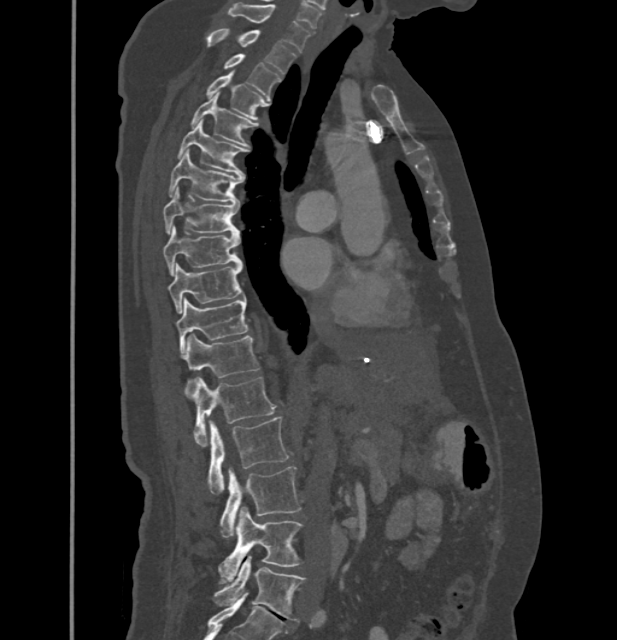

Computed tomography of the spine — sagittal reformat — bone window — image width 432 mm. Boxes: x1 y1 x2 y2 (pixel coords, space-separated).
In these labels the thoracic vertebrae end at T11, so L1 follows T11.
Vertebra bounding boxes:
- C7: 229 2 310 51
- T1: 207 29 296 74
- T2: 223 53 280 96
- T3: 206 72 267 119
- T4: 192 93 256 146
- T5: 177 120 246 175
- T6: 169 150 244 202
- T7: 163 187 239 234
- T8: 163 226 240 275
- T9: 169 263 241 314
- T10: 176 297 247 356
- T11: 184 333 261 396
- L1: 194 377 275 446
- L2: 209 416 288 494
- L3: 219 466 300 538
- L4: 218 507 302 582
- L5: 212 556 305 619